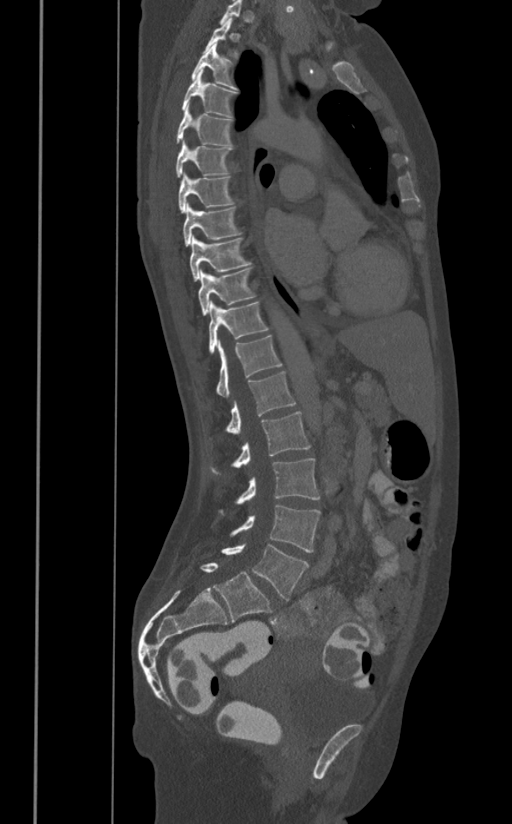 CT spine; sagittal view; Bone window (WL 400, WW 1800)
Coordinates as <box>x1,y1,x2,y2</box>. Not every vertebra on this slice has a box: a vertebra is boxed only from the first to the last slice where its cross-section is at least a third of its largest, and this slice is outside that range for at least one of them. Vertebrae labeled: T2 at <box>204,18,238,59</box>, T3 at <box>191,44,237,90</box>, T4 at <box>182,70,237,117</box>, T5 at <box>176,104,232,146</box>, T6 at <box>175,140,232,177</box>, T7 at <box>178,173,233,212</box>, T8 at <box>183,203,241,246</box>, T9 at <box>190,236,252,281</box>, T10 at <box>198,268,255,315</box>, T11 at <box>208,302,269,354</box>, T12 at <box>216,336,282,397</box>, L1 at <box>226,371,296,434</box>, L2 at <box>209,411,310,474</box>, L3 at <box>219,458,320,513</box>, L4 at <box>229,504,320,552</box>, L5 at <box>221,543,308,600</box>.